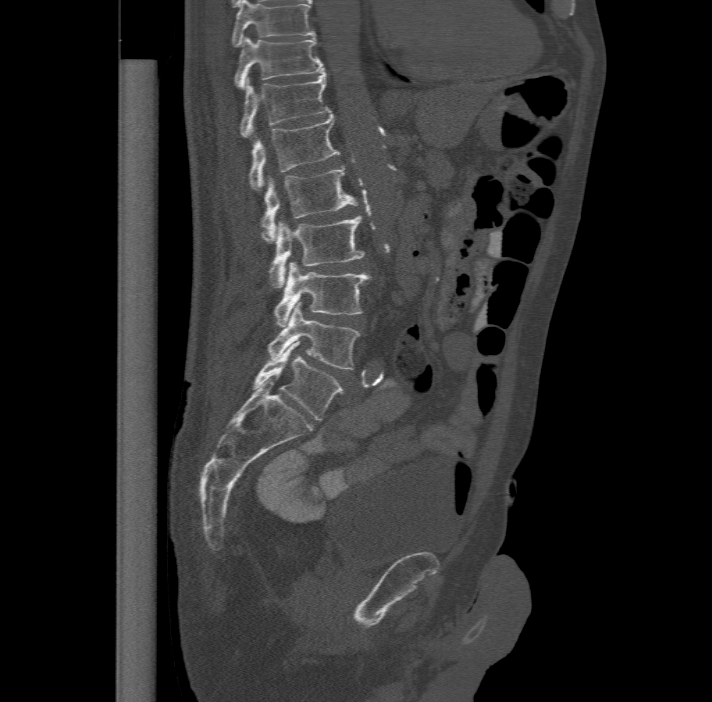
Spine CT; sagittal view; bone window; 712x702 px; the image is 477 mm wide

Box values are [left, top, right, bottom] in pixels.
The highest labeled vertebra in this scan is T11; the lowest is L6.
In these labels the spine has an L6, a sixth lumbar vertebra below L5.
{"vertebrae":{"L6":[253,341,342,421],"L5":[267,302,361,370],"L4":[274,261,370,326],"L3":[268,215,365,287],"L2":[261,164,358,242],"L1":[249,113,340,188],"T12":[241,70,330,136],"T11":[234,36,323,87]}}